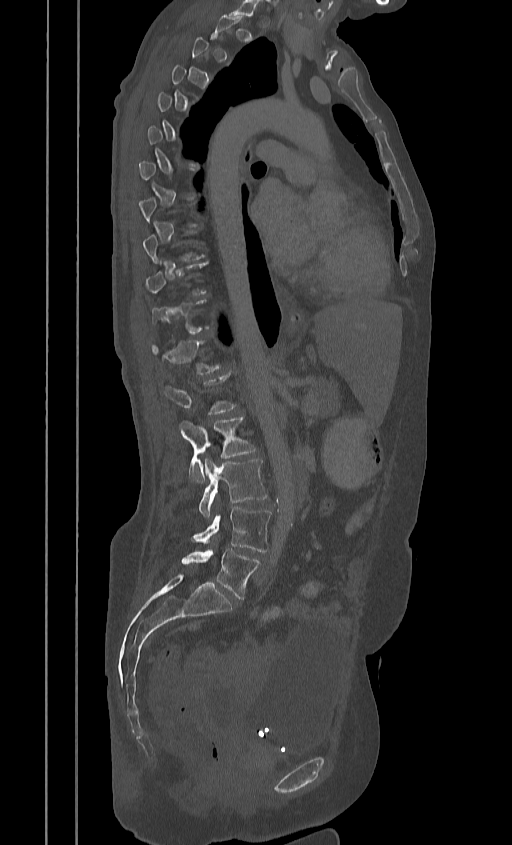

CT. sagittal view
Bounding boxes as [x1, y1, x2, y2] in pixel coordinates.
A vertebra is boxed only from the first to the last slice where its cross-section is at least a third of its largest; slices outside that range leave it without a box.
Vertebra bounding boxes:
- L2: [178, 417, 256, 483]
- L3: [198, 459, 267, 518]
- L4: [192, 507, 271, 552]
- L5: [181, 549, 260, 599]